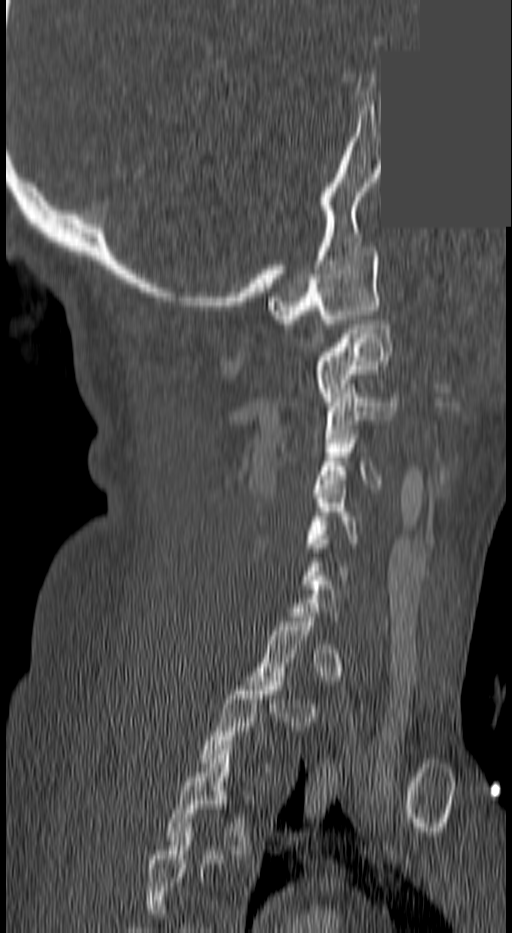
Spine computed tomography — sagittal reformat — part of the image has been replaced by a constant value

A vertebra gets a box only on the slices from the first to the last where its cross-section is at least a third of its largest; on a slice outside that range it gets none.
In this scan, the topmost labeled vertebra is C1 and the lowest is T3.
<vertebrae><v name="T3" x1="166" y1="745" x2="253" y2="854"/><v name="T2" x1="199" y1="677" x2="284" y2="762"/><v name="C5" x1="304" y1="485" x2="359" y2="552"/><v name="C4" x1="316" y1="434" x2="381" y2="488"/><v name="C3" x1="325" y1="389" x2="397" y2="438"/><v name="C2" x1="311" y1="320" x2="392" y2="401"/><v name="C1" x1="268" y1="247" x2="377" y2="324"/></vertebrae>